CT. sagittal reformat. Bone window (WL 400, WW 1800)
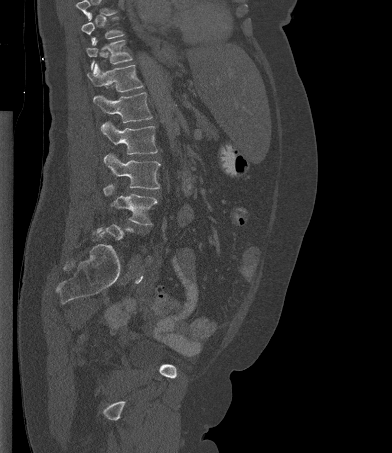

Box edges are left/top/right/bottom in pixels. A vertebra is boxed only from the first to the last slice where its cross-section is at least a third of its largest; slices outside that range leave it without a box. No box is given to a vertebra that the top edge of the scan cuts off. The labeled vertebrae in this slice are: T10 at left=81, top=13, right=124, bottom=44, T11 at left=86, top=40, right=132, bottom=69, T12 at left=87, top=63, right=143, bottom=92, L1 at left=93, top=92, right=152, bottom=123, L2 at left=101, top=121, right=157, bottom=154, L3 at left=103, top=153, right=160, bottom=189, L4 at left=103, top=184, right=157, bottom=225.